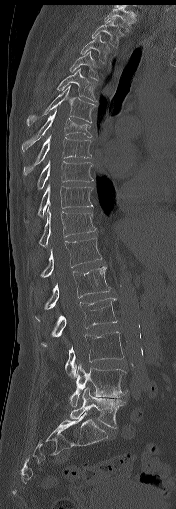
Spine computed tomography — sagittal view — 176x509 px — the image spans 176 mm across
Bounding boxes as [x1, y1, x2, y2] in pixel coordinates.
Vertebra bounding boxes:
- T1: [104, 7, 135, 31]
- T2: [92, 18, 124, 47]
- T3: [80, 35, 110, 62]
- T4: [70, 51, 98, 79]
- T5: [56, 68, 97, 102]
- T6: [26, 85, 96, 126]
- T7: [22, 109, 91, 151]
- T8: [23, 135, 91, 175]
- T9: [37, 161, 93, 190]
- T10: [24, 184, 93, 222]
- T11: [39, 207, 96, 246]
- T12: [40, 237, 101, 277]
- L1: [44, 266, 110, 310]
- L2: [41, 298, 117, 346]
- L3: [65, 331, 123, 378]
- L4: [69, 364, 127, 406]
- L5: [70, 387, 125, 428]